Spine CT · Sagittal slice 238/512 · W/L 1800/400 HU · scan covers 9 annotated vertebrae
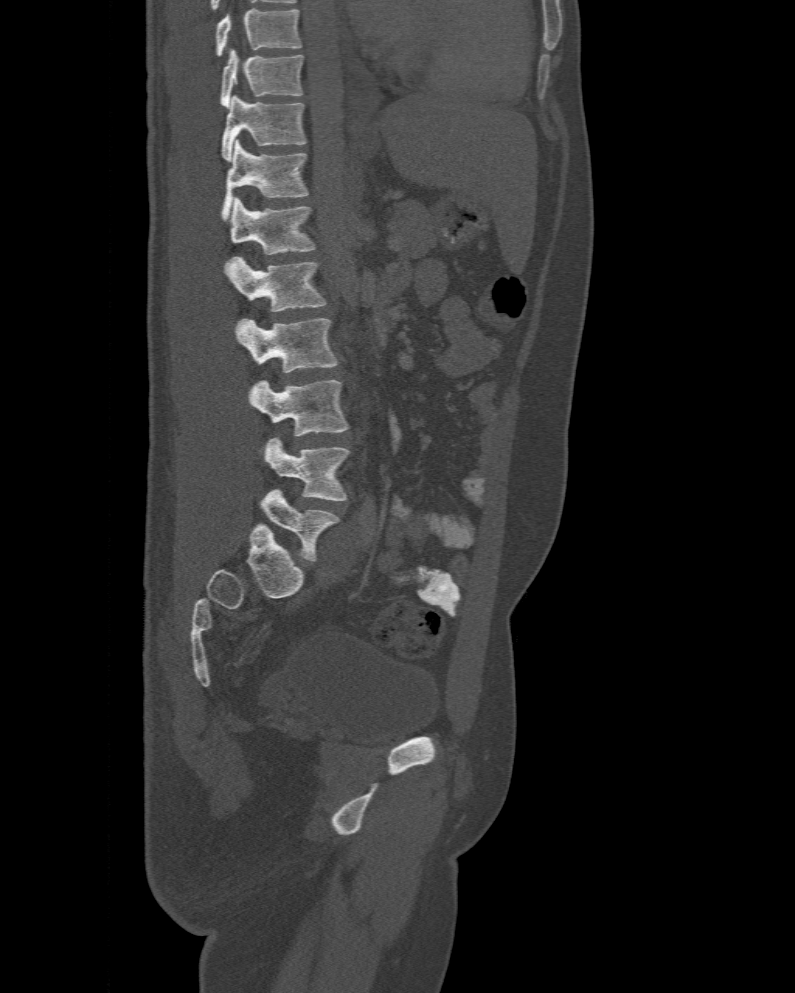
Box edges are left/top/right/bottom in pixels.
In this scan, the topmost labeled vertebra is T10 and the lowest is L6.
The labels name a sixth lumbar vertebra for this spine: L6, after L5.
L6: left=259, top=488, right=339, bottom=561
L5: left=266, top=437, right=350, bottom=501
L4: left=250, top=380, right=348, bottom=436
L3: left=233, top=318, right=339, bottom=372
L2: left=225, top=256, right=327, bottom=311
L1: left=230, top=197, right=316, bottom=254
T12: left=220, top=139, right=310, bottom=221
T11: left=222, top=95, right=305, bottom=161
T10: left=220, top=48, right=303, bottom=107